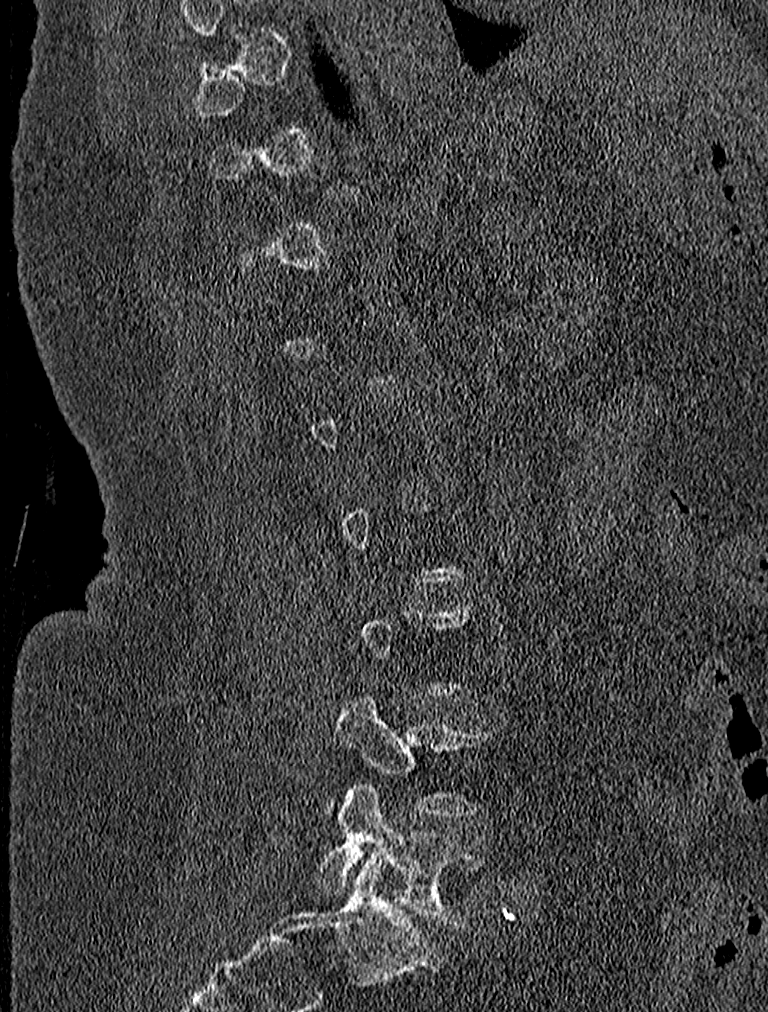

Spine computed tomography · the image is 227 mm wide · sagittal view · 768x1012 px

Boxes: x1:y1:x2:y2 in pixels. A vertebra is boxed only from the first to the last slice where its cross-section is at least a third of its largest; slices outside that range leave it without a box. The labeled vertebrae in this slice are: L4 at 327:691:493:820, L5 at 313:783:485:928.